Spine computed tomography — sagittal plane, index 24 — bone-window reconstruction — 5 vertebrae labeled in this scan
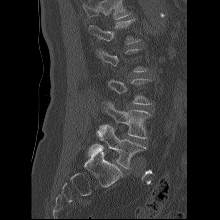

Each vertebra maps to its box as [x1, y1, x2, y2], the pixel coordinates of its top-left and bottom-right corners.
Each vertebra is boxed only on the slices from the first to the last where its cross-section reaches a third of its largest, so a slice outside that range leaves it unboxed.
Where the top of the scan cuts through a vertebra, that vertebra gets no label or box.
{"vertebrae":{"L1":[88,19,140,44],"L4":[96,101,150,138],"L5":[88,124,146,169]}}